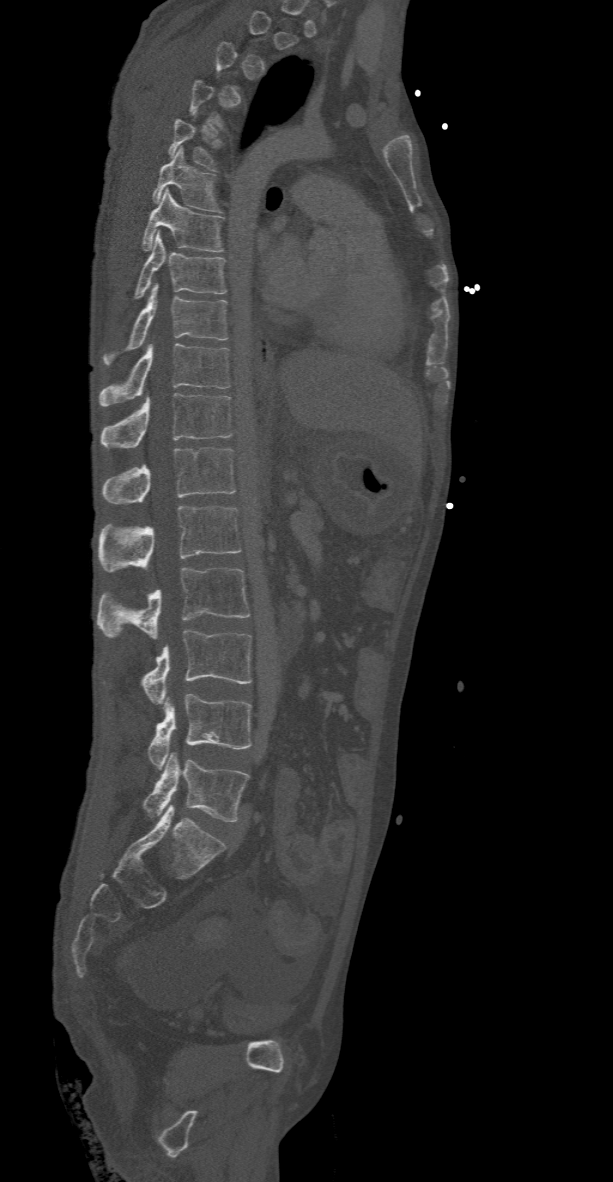 Spine computed tomography · sagittal view. In the table, x1 and y1 are a box's top-left corner and x2 and y2 its bottom-right corner, in pixels.
A vertebra gets a box only on the slices from the first to the last where its cross-section is at least a third of its largest; on a slice outside that range it gets none.
| vertebra | x1 | y1 | x2 | y2 |
|---|---|---|---|---|
| T6 | 151 | 147 | 221 | 211 |
| T7 | 141 | 189 | 222 | 251 |
| T8 | 134 | 231 | 225 | 298 |
| T9 | 103 | 284 | 227 | 365 |
| T10 | 98 | 344 | 229 | 406 |
| T11 | 99 | 394 | 233 | 448 |
| T12 | 102 | 447 | 235 | 505 |
| L1 | 98 | 506 | 241 | 571 |
| L2 | 96 | 567 | 248 | 640 |
| L3 | 141 | 631 | 251 | 705 |
| L4 | 149 | 694 | 251 | 769 |
| L5 | 143 | 752 | 248 | 821 |